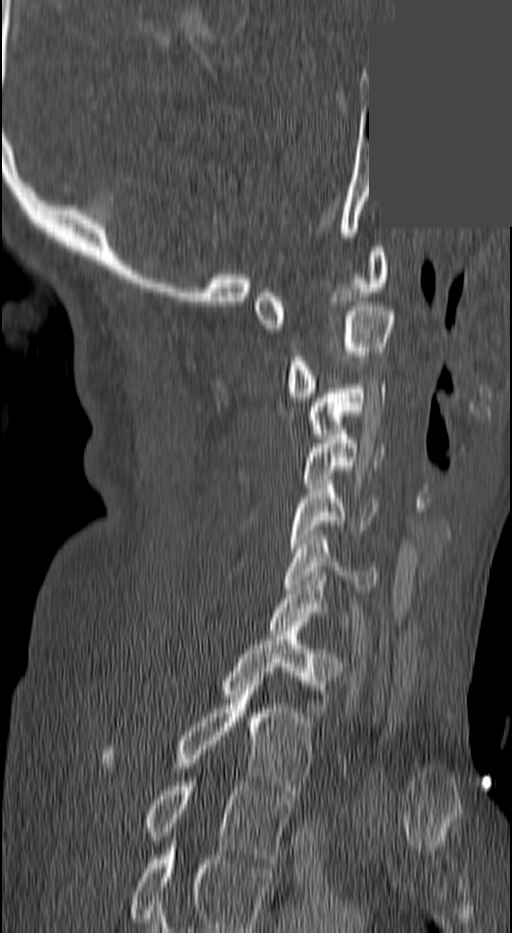 Spine CT; sagittal reformat; 512x933 px; 140 mm wide; a uniform gray block covers part of the image
Box edges are left/top/right/bottom in pixels.
This scan's labels start at C1 at the top and end at T3 at the bottom.
| vertebra | x1 | y1 | x2 | y2 |
|---|---|---|---|---|
| C1 | 253 | 247 | 388 | 328 |
| C2 | 287 | 302 | 395 | 397 |
| C3 | 310 | 384 | 384 | 433 |
| C4 | 301 | 434 | 385 | 484 |
| C5 | 287 | 480 | 375 | 552 |
| C6 | 283 | 535 | 378 | 589 |
| C7 | 268 | 576 | 349 | 630 |
| T1 | 221 | 631 | 340 | 717 |
| T2 | 100 | 681 | 312 | 794 |
| T3 | 144 | 782 | 289 | 863 |